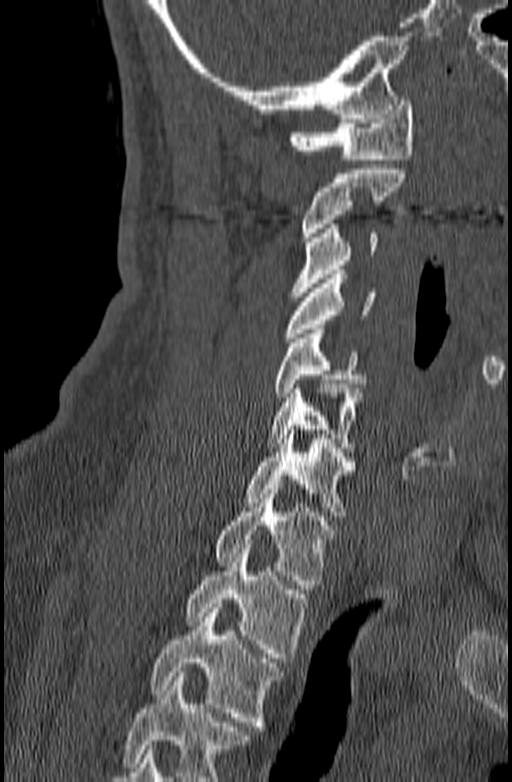 CT, spine — sagittal reformat — bone-window reconstruction. Each box given as x1,y1,x2,y2.
Where the bottom of the scan cuts through a vertebra, that vertebra gets no label or box.
Vertebra bounding boxes:
- C1: x1=290, y1=96, x2=413, y2=159
- C2: x1=301, y1=165, x2=406, y2=241
- C3: x1=290, y1=224, x2=377, y2=296
- C4: x1=283, y1=270, x2=377, y2=342
- C5: x1=274, y1=329, x2=366, y2=397
- C6: x1=264, y1=384, x2=362, y2=452
- C7: x1=246, y1=430, x2=356, y2=516
- T1: x1=217, y1=485, x2=333, y2=589
- T2: x1=185, y1=544, x2=308, y2=662
- T3: x1=151, y1=603, x2=284, y2=730